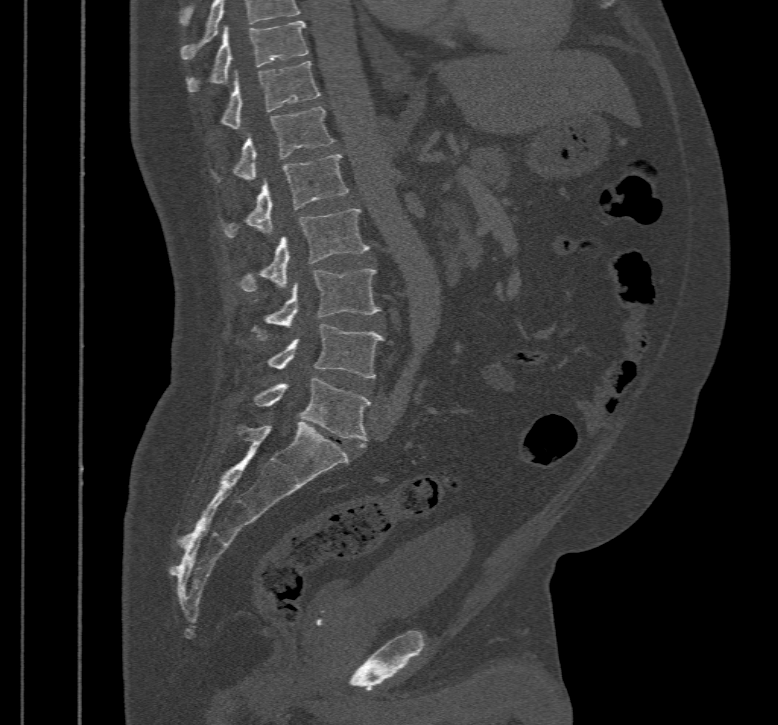
Spine computed tomography · 467 mm wide · sagittal view
Box values are [left, top, right, bottom] in pixels.
This scan's labels start at T10 at the top and end at L5 at the bottom.
{"vertebrae":{"L5":[254,377,370,441],"L4":[268,324,384,378],"L3":[252,268,381,338],"L2":[237,209,368,291],"L1":[220,154,349,238],"T12":[211,107,333,181],"T11":[220,60,321,128],"T10":[187,20,309,93]}}